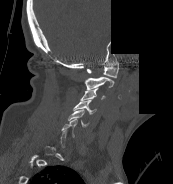 CT. image width 173 mm. sagittal view. bone-window reconstruction. an area of the scan was removed and filled with constant pixels
Boxes: x1:y1:x2:y2 in pixels.
A vertebra is boxed only from the first to the last slice where its cross-section is at least a third of its largest; slices outside that range leave it without a box.
C1: 86:62:118:77
C2: 85:77:113:89
C3: 81:87:105:100
C4: 73:100:96:114
C5: 67:109:89:126